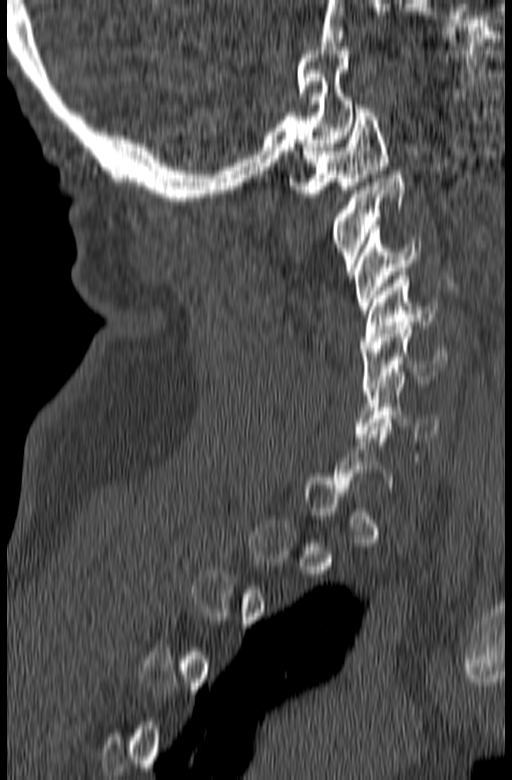
CT, spine · sagittal view · the image spans 165 mm across

Each box is [x1, y1, x2, y2] in pixels: top-left corner, then bottom-right corner.
A vertebra is boxed only from the first to the last slice where its cross-section is at least a third of its largest; slices outside that range leave it without a box.
{"vertebrae":{"C6":[355,376,440,441],"C5":[361,322,447,391],"C4":[361,272,438,348],"C3":[352,225,419,313],"C2":[330,171,405,271],"C1":[289,105,388,197]}}